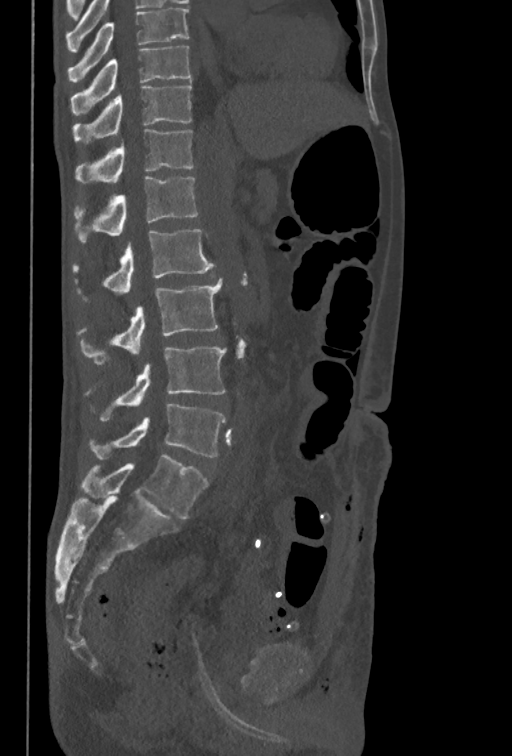

Spine computed tomography · sagittal view · 512x756 px. Bounding boxes as [x1, y1, x2, y2] in pixel coordinates.
The highest labeled vertebra in this scan is T10; the lowest is L5.
Vertebra bounding boxes:
- T10: [70, 46, 190, 114]
- T11: [73, 86, 192, 144]
- T12: [76, 129, 193, 183]
- L1: [74, 176, 198, 243]
- L2: [73, 229, 215, 300]
- L3: [80, 278, 222, 364]
- L4: [101, 346, 226, 420]
- L5: [90, 403, 226, 458]